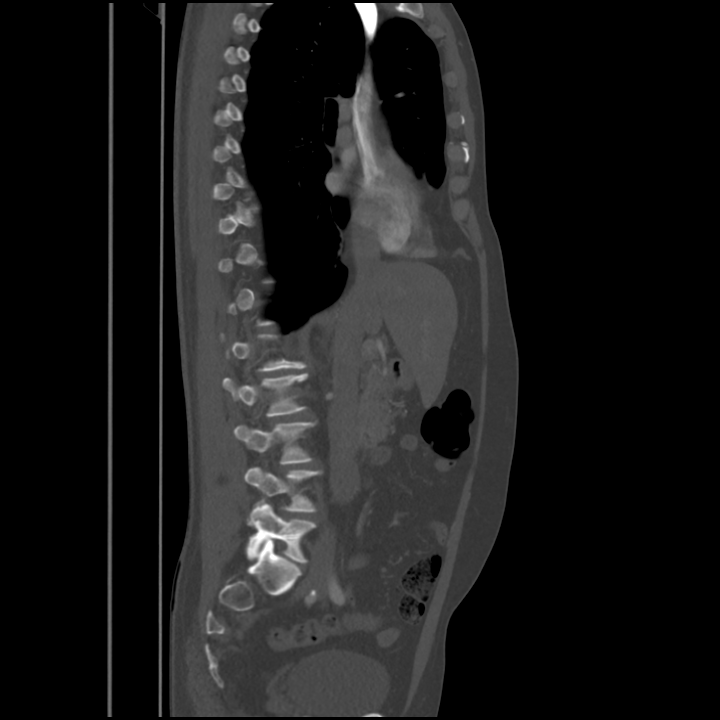
Computed tomography of the spine. sagittal view
A vertebra gets a box only on the slices from the first to the last where its cross-section is at least a third of its largest; on a slice outside that range it gets none.
<vertebrae><v name="L5" x1="247" y1="503" x2="315" y2="562"/><v name="L4" x1="244" y1="467" x2="321" y2="512"/><v name="L3" x1="234" y1="422" x2="315" y2="463"/><v name="L2" x1="223" y1="374" x2="307" y2="416"/></vertebrae>